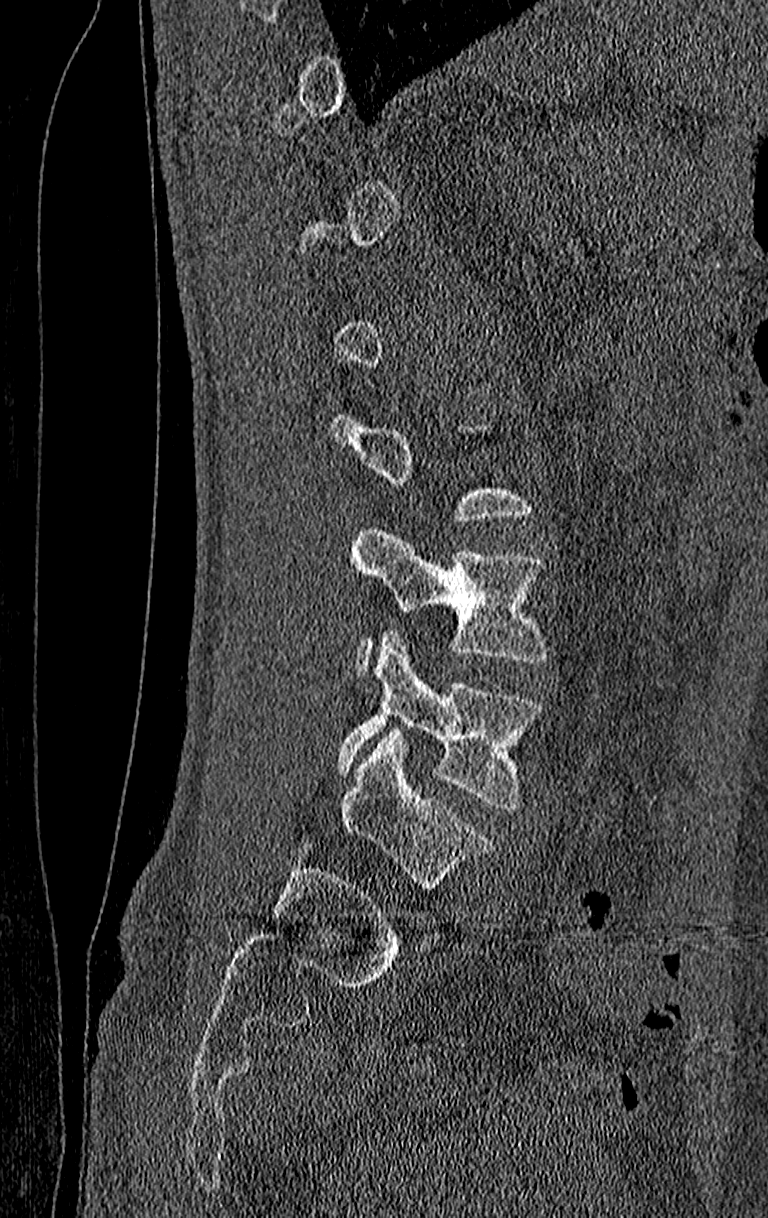
Spine computed tomography · sagittal view
Box values are [left, top, right, bottom] in pixels.
A vertebra is boxed only from the first to the last slice where its cross-section is at least a third of its largest; slices outside that range leave it without a box.
In this scan, the topmost labeled vertebra is T11 and the lowest is L4.
{"vertebrae":{"L3":[350,523,550,672],"L4":[335,630,543,809]}}